CT, spine — sagittal plane, index 103 — bone window — 228x349 px
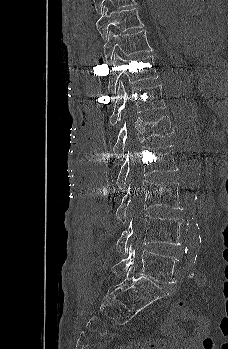
Boxes are given in columns x1, y1, x2, y2, the pixel coordinates of their top-left and bottom-right corners.
| vertebra | x1 | y1 | x2 | y2 |
|---|---|---|---|---|
| L5 | 111 | 243 | 178 | 283 |
| L4 | 116 | 215 | 184 | 254 |
| L3 | 116 | 180 | 184 | 222 |
| L2 | 116 | 145 | 178 | 188 |
| L1 | 113 | 116 | 174 | 157 |
| T12 | 109 | 80 | 166 | 126 |
| T11 | 108 | 52 | 158 | 93 |
| T10 | 103 | 30 | 152 | 65 |
| T9 | 96 | 6 | 144 | 41 |